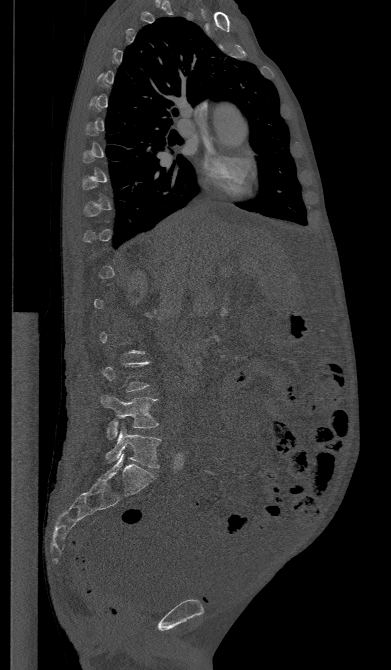

Spine CT · sagittal view · 391x670 px

Boxes below are [x1, y1, x2, y2] in pixels.
Not every vertebra on this slice has a box: a vertebra is boxed only from the first to the last slice where its cross-section is at least a third of its largest, and this slice is outside that range for at least one of them.
{"vertebrae":{"L4":[101,395,158,438],"L5":[106,427,160,467]}}